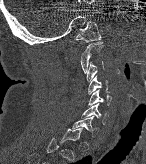
Computed tomography of the spine; sagittal view; 146x164 px
In the table, x1 and y1 are a box's top-left corner and x2 and y2 its bottom-right corner, in pixels.
A vertebra is boxed only from the first to the last slice where its cross-section is at least a third of its largest; slices outside that range leave it without a box.
| vertebra | x1 | y1 | x2 | y2 |
|---|---|---|---|---|
| C7 | 73 | 116 | 97 | 137 |
| C6 | 81 | 103 | 108 | 125 |
| C5 | 87 | 90 | 111 | 107 |
| C4 | 88 | 76 | 107 | 94 |
| C3 | 86 | 61 | 104 | 81 |
| C2 | 80 | 40 | 102 | 73 |
| C1 | 75 | 21 | 101 | 42 |